CT; sagittal reformat; 512x789 px
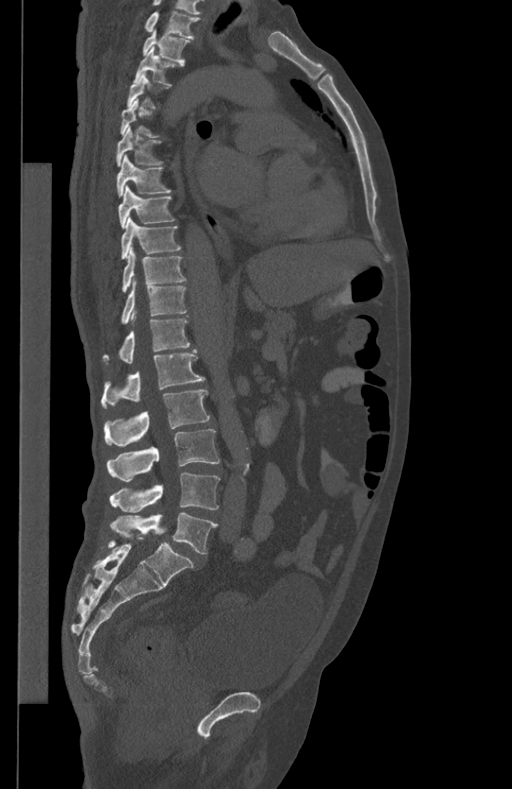 Box edges are left/top/right/bottom in pixels.
A vertebra gets a box only on the slices from the first to the last where its cross-section is at least a third of its largest; on a slice outside that range it gets none.
In this scan, the topmost labeled vertebra is T1 and the lowest is L5.
T1: left=145, top=12, right=199, bottom=38
T2: left=143, top=29, right=189, bottom=63
T3: left=134, top=47, right=183, bottom=84
T6: left=117, top=127, right=162, bottom=166
T7: left=117, top=154, right=170, bottom=195
T8: left=118, top=185, right=175, bottom=227
T9: left=121, top=217, right=181, bottom=258
T10: left=121, top=247, right=186, bottom=291
T11: left=121, top=279, right=186, bottom=323
T12: left=104, top=316, right=190, bottom=363
L1: left=101, top=349, right=204, bottom=407
L2: left=104, top=389, right=209, bottom=446
L3: left=107, top=429, right=220, bottom=481
L4: left=110, top=472, right=220, bottom=512
L5: left=110, top=513, right=217, bottom=553